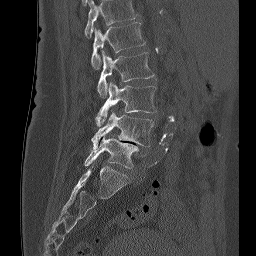 CT spine · sagittal view · 256x256 px · image width 256 mm
Box edges are left/top/right/bottom in pixels. In this scan, the topmost labeled vertebra is L1 and the lowest is L5. The labeled vertebrae in this slice are: L1 at left=91, top=22, right=145, bottom=69, L2 at left=97, top=50, right=156, bottom=98, L3 at left=96, top=82, right=156, bottom=126, L4 at left=91, top=112, right=153, bottom=148, L5 at left=84, top=137, right=138, bottom=168.